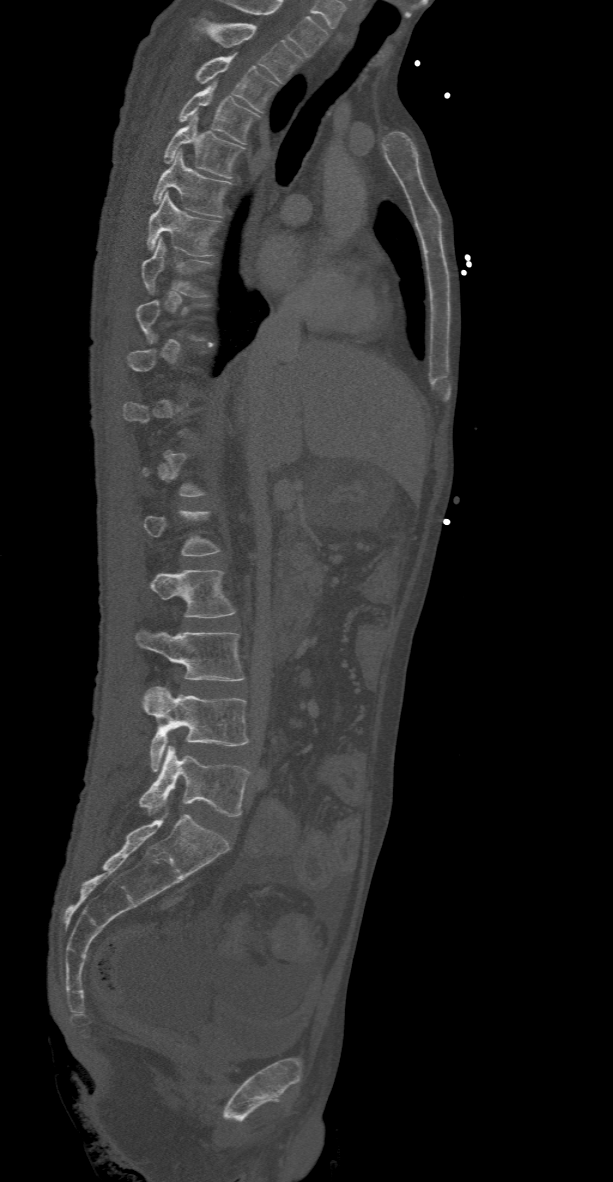
Spine CT. sagittal view. bone-window reconstruction
Boxes: x1:y1:x2:y2 in pixels.
Each vertebra is boxed only on the slices from the first to the last where its cross-section reaches a third of its largest, so a slice outside that range leaves it unboxed.
In this scan, the topmost labeled vertebra is T2 and the lowest is L5.
Vertebra bounding boxes:
- T2: 196:21:302:83
- T3: 195:54:279:111
- T4: 178:82:260:143
- T5: 163:113:243:178
- T6: 153:151:233:216
- T7: 146:192:221:256
- T8: 141:237:213:296
- L2: 150:569:235:618
- L3: 134:629:243:681
- L4: 141:686:251:771
- L5: 138:746:248:816